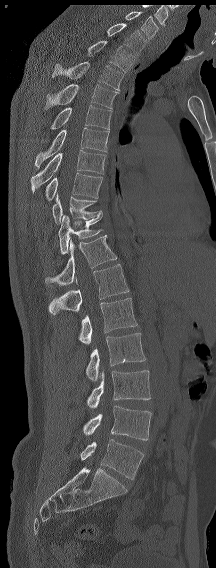

CT; sagittal view; the image is 216 mm wide; bone-window reconstruction
Boxes: x1 y1 x2 y2 (pixel coords, space-separated).
In this scan, the topmost labeled vertebra is C7 and the lowest is L6.
The labels name a sixth lumbar vertebra for this spine: L6, after L5.
C7: 125 11 158 39
T1: 107 23 146 54
T2: 87 40 132 72
T3: 52 61 123 91
T4: 44 84 119 109
T5: 50 105 112 130
T6: 35 127 109 168
T7: 31 150 106 193
T8: 45 173 102 200
T9: 52 194 102 224
T11: 58 213 103 254
T12: 45 235 117 285
L1: 48 264 129 314
L2: 78 298 137 344
L3: 85 332 146 381
L4: 86 370 150 408
L5: 83 405 151 440
L6: 80 439 143 479